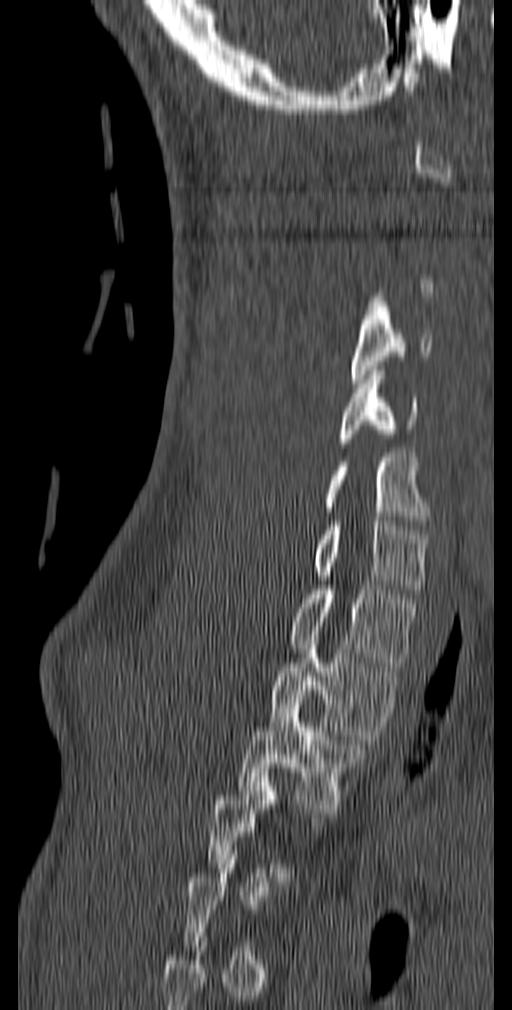 Computed tomography of the spine; sagittal view; bone-window reconstruction
Each vertebra maps to its box as [x1, y1, x2, y2], the pixel coordinates of its top-left and bottom-right corners.
A vertebra is boxed only from the first to the last slice where its cross-section is at least a third of its largest; slices outside that range leave it without a box.
{"vertebrae":{"C4":[351,306,432,383],"C5":[338,366,418,447],"C6":[321,453,428,525],"C7":[316,521,428,593],"T1":[289,585,418,666],"T2":[270,645,402,740],"T3":[237,695,366,813]}}